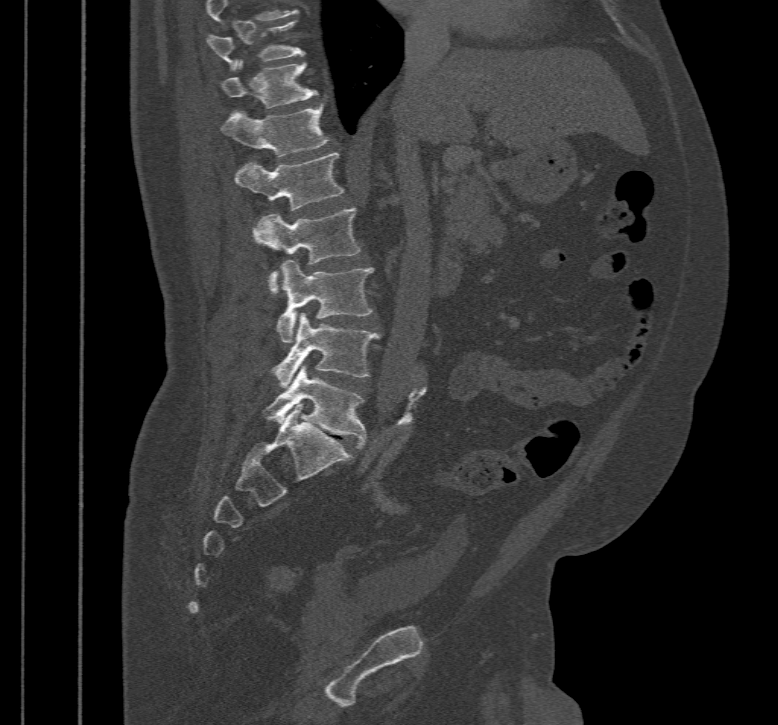
CT, spine — sagittal view — bone window — 778x725 px
Each box given as x1,y1,x2,y2. Labels in this scan begin with T10 at the top and end with L5 at the bottom. Vertebrae labeled: T10 at x1=207, y1=20, x2=306, y2=71, T11 at x1=222, y1=60, x2=317, y2=108, T12 at x1=222, y1=104, x2=329, y2=158, L1 at x1=236, y1=152, x2=344, y2=211, L2 at x1=254, y1=209, x2=361, y2=294, L3 at x1=277, y1=260, x2=374, y2=342, L4 at x1=271, y1=312, x2=388, y2=388, L5 at x1=260, y1=365, x2=365, y2=448.